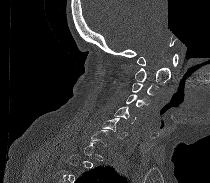

Computed tomography of the spine; sagittal view; the image is 210 mm wide; part of the scan has been removed (filled with constant black)
Boxes: x1 y1 x2 y2 (pixel coords, space-separated). Not every vertebra on this slice has a box: a vertebra is boxed only from the first to the last slice where its cross-section is at least a third of its largest, and this slice is outside that range for at least one of them. Vertebrae labeled: C1 at 137 54 178 66, C2 at 135 60 170 84, C3 at 132 82 158 97, C4 at 126 94 149 109, C5 at 114 106 136 123, C6 at 101 118 127 139.